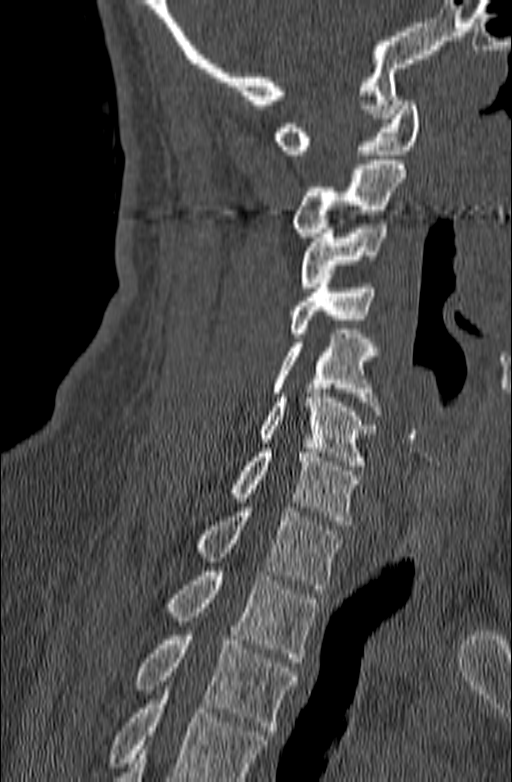
CT — sagittal view — W/L 1800/400 HU
Coordinates as <box>x1,y1,x2,y2</box>.
No box is given to a vertebra that the bottom edge of the scan cuts off.
Vertebra bounding boxes:
- C1: <box>273,101,419,154</box>
- C2: <box>290,160,406,237</box>
- C3: <box>300,219,387,287</box>
- C4: <box>290,279,374,337</box>
- C5: <box>273,334,382,415</box>
- C6: <box>261,393,376,465</box>
- C7: <box>232,448,359,525</box>
- T1: <box>195,507,342,589</box>
- T2: <box>167,571,318,662</box>
- T3: <box>135,631,298,735</box>